Computed tomography of the spine; sagittal view
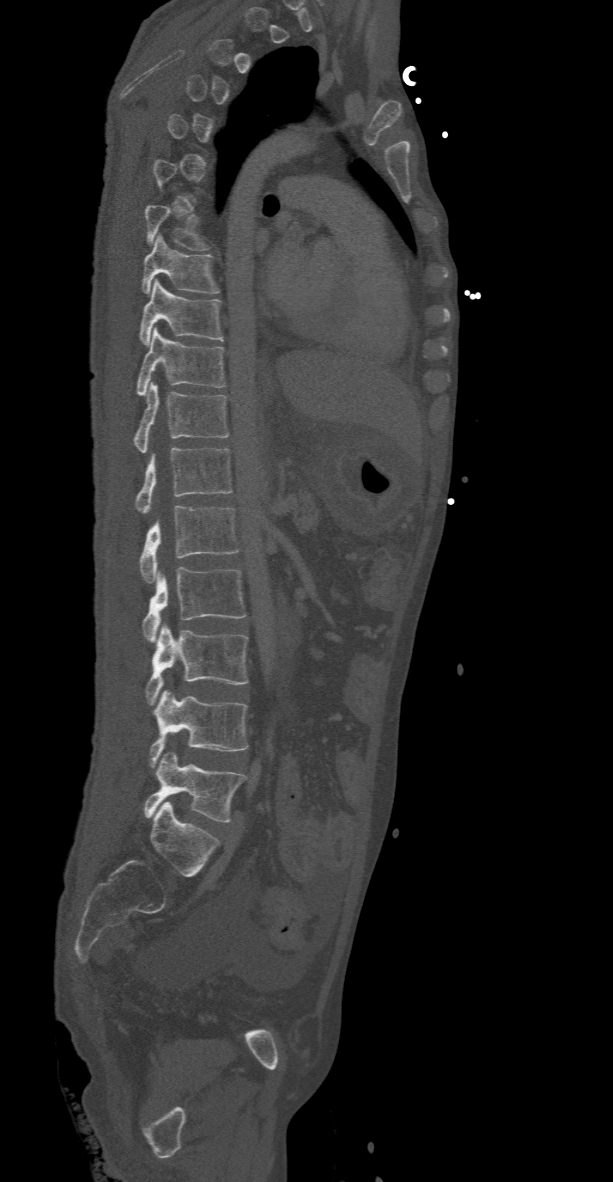 Each vertebra maps to its box as [x1, y1, x2, y2], the pixel coordinates of its top-left and bottom-right corners.
A vertebra is boxed only from the first to the last slice where its cross-section is at least a third of its largest; slices outside that range leave it without a box.
{"vertebrae":{"T7":[145,206,209,250],"T8":[141,234,218,295],"T9":[138,279,224,346],"T10":[137,327,225,395],"T11":[133,382,229,453],"T12":[134,447,233,513],"L1":[138,506,239,583],"L2":[141,567,246,641],"L3":[145,624,247,705],"L4":[150,689,247,768],"L5":[145,752,247,821]}}